CT — sagittal reformat — image 168 mm wide
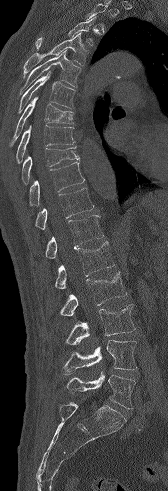

A vertebra cut off by the top edge of the scan is not labeled and has no box.
<vertebrae><v name="L5" x1="66" y1="372" x2="135" y2="409"/><v name="L4" x1="61" y1="340" x2="137" y2="375"/><v name="L3" x1="65" y1="304" x2="135" y2="345"/><v name="L2" x1="59" y1="271" x2="127" y2="316"/><v name="L1" x1="54" y1="241" x2="114" y2="289"/><v name="T12" x1="45" y1="215" x2="103" y2="258"/><v name="T11" x1="35" y1="188" x2="94" y2="229"/><v name="T10" x1="29" y1="162" x2="85" y2="206"/><v name="T9" x1="21" y1="146" x2="79" y2="183"/><v name="T8" x1="16" y1="125" x2="75" y2="163"/><v name="T7" x1="10" y1="97" x2="73" y2="145"/><v name="T6" x1="17" y1="71" x2="75" y2="113"/><v name="T5" x1="20" y1="50" x2="81" y2="94"/><v name="T4" x1="23" y1="32" x2="89" y2="77"/><v name="T3" x1="35" y1="16" x2="95" y2="49"/></vertebrae>